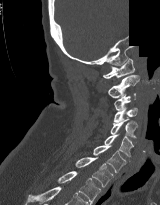

CT, spine. image width 160 mm. sagittal view. a portion of the image is blanked out (constant pixel value)

Boxes are (x1, y1, x2, y2) in pixels. 9 vertebrae labeled — T2 at (57, 171, 101, 204); T1 at (75, 157, 113, 187); C7 at (93, 145, 126, 172); C6 at (104, 134, 133, 157); C5 at (110, 117, 137, 138); C4 at (113, 107, 137, 122); C3 at (114, 93, 135, 110); C2 at (108, 75, 139, 98); C1 at (103, 58, 134, 78).